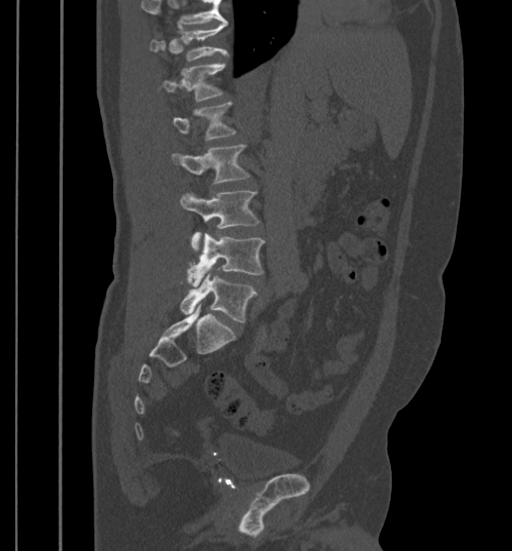 CT spine — sagittal reformat — W/L 1800/400 HU
Box edges are left/top/right/bottom in pixels.
Where the top of the scan cuts through a vertebra, that vertebra gets no label or box.
L5: left=181, top=272, right=257, bottom=322
L4: left=187, top=233, right=263, bottom=285
L3: left=181, top=191, right=258, bottom=251
L2: left=172, top=145, right=249, bottom=184
L1: left=173, top=103, right=235, bottom=140
T12: left=163, top=63, right=225, bottom=102
T11: left=150, top=24, right=227, bottom=61